CT — sagittal view — Bone window (WL 400, WW 1800) — 512x696 px
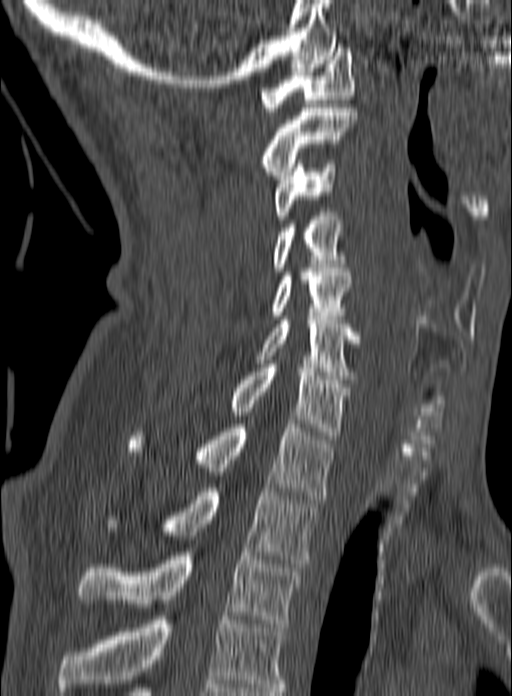
Boxes: x1 y1 x2 y2 (pixel coords, space-separated).
Labels in this scan begin with C1 at the top and end with T3 at the bottom.
C1: 260 48 355 111
C2: 260 108 357 179
C3: 273 160 336 219
C4: 273 212 346 271
C5: 269 268 352 319
C6: 257 320 362 383
C7: 228 364 350 439
T1: 129 420 334 499
T2: 107 488 317 567
T3: 78 552 301 627